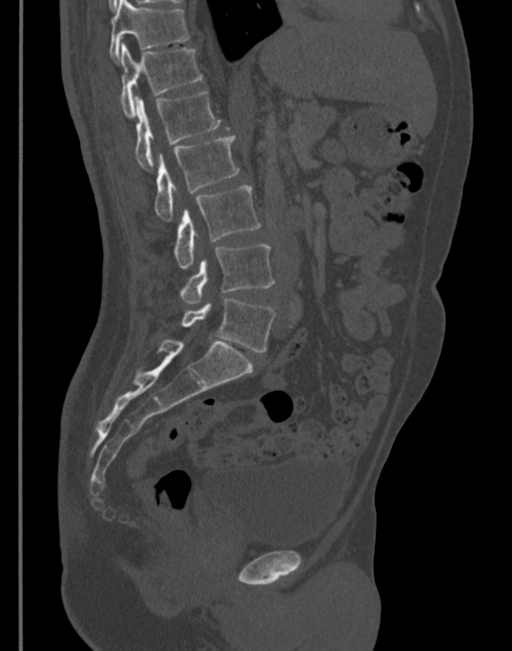 Spine computed tomography. sagittal reformat. the image spans 345 mm across
Bounding boxes as [x1, y1, x2, y2] in pixel coordinates.
Vertebra bounding boxes:
- T11: [110, 0, 189, 60]
- T12: [120, 43, 202, 117]
- L1: [135, 91, 220, 169]
- L2: [154, 135, 239, 220]
- L3: [175, 185, 260, 269]
- L4: [181, 245, 275, 304]
- L5: [176, 298, 275, 352]